CT spine. Sagittal slice 264/512. 16 vertebrae labeled in this scan
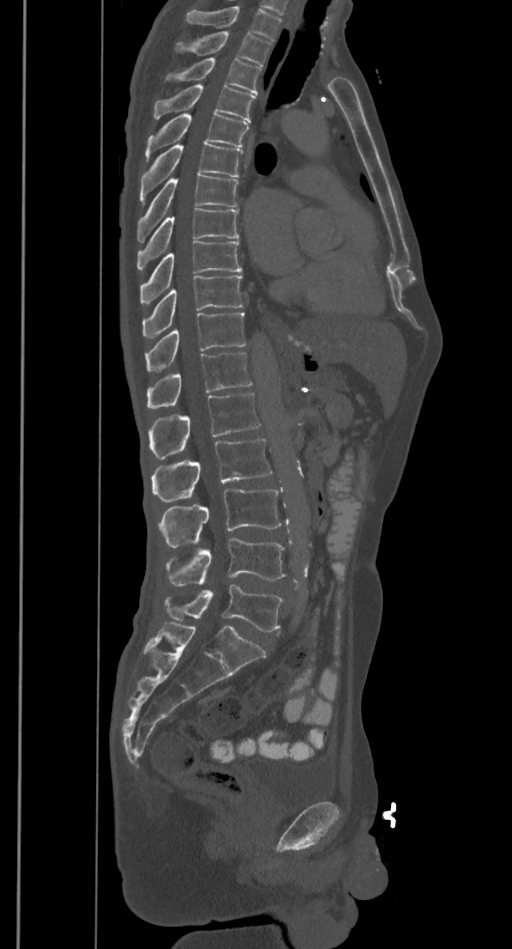 Box edges are left/top/right/bottom in pixels.
Where the top of the scan cuts through a vertebra, that vertebra gets no label or box.
T2: left=178, top=31, right=271, bottom=66
T3: left=167, top=59, right=261, bottom=94
T4: left=154, top=85, right=255, bottom=121
T5: left=145, top=114, right=247, bottom=161
T6: left=139, top=142, right=242, bottom=202
T7: left=137, top=174, right=238, bottom=241
T8: left=137, top=208, right=240, bottom=269
T9: left=139, top=241, right=242, bottom=303
T10: left=142, top=275, right=242, bottom=338
T11: left=145, top=312, right=246, bottom=371
T12: left=146, top=352, right=252, bottom=408
L1: left=149, top=394, right=261, bottom=459
L2: left=151, top=438, right=271, bottom=502
L3: left=159, top=490, right=281, bottom=548
L4: left=166, top=539, right=286, bottom=585
L5: left=165, top=585, right=283, bottom=632